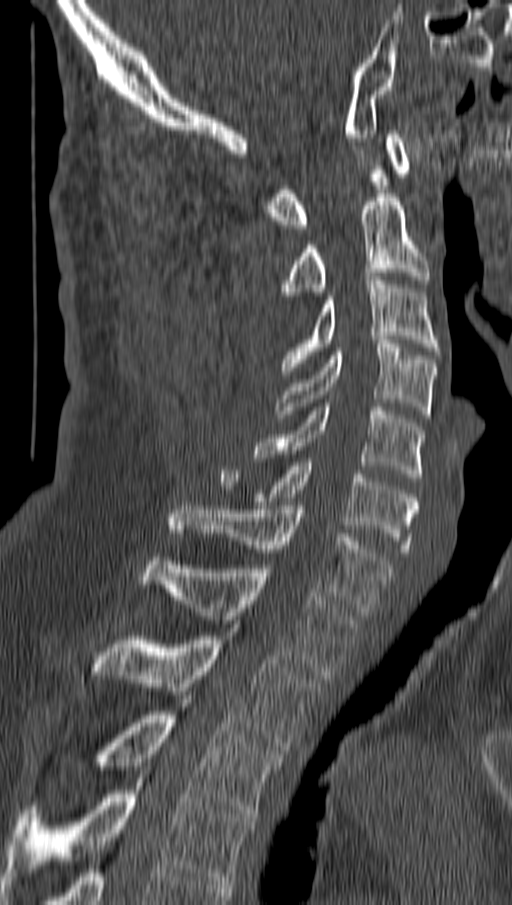

CT spine; sagittal view; bone-window reconstruction
Box edges are left/top/right/bottom in pixels. The labeled vertebrae in this slice are: C1 at left=267, top=130, right=412, bottom=228, C2 at left=279, top=194, right=430, bottom=295, C3 at left=282, top=277, right=439, bottom=374, C4 at left=275, top=340, right=436, bottom=418, C5 at left=254, top=403, right=424, bottom=481, C6 at left=218, top=458, right=417, bottom=556, C7 at left=169, top=506, right=392, bottom=615, T1 at left=140, top=557, right=357, bottom=679, T2 at left=93, top=636, right=319, bottom=750, T3 at left=96, top=711, right=281, bottom=817, T4 at left=4, top=778, right=253, bottom=888.